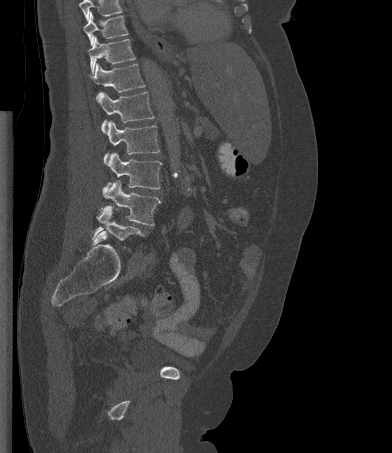 CT spine · sagittal view · Bone window (WL 400, WW 1800) · 392x453 px
Boxes: x1:y1:x2:y2 in pixels.
Where the top of the scan cuts through a vertebra, that vertebra gets no label or box.
Vertebra bounding boxes:
- L5: 92:206:143:240
- L4: 103:180:160:225
- L3: 103:152:161:190
- L2: 104:121:159:163
- L1: 96:91:154:133
- T12: 90:63:145:92
- T11: 88:36:135:73
- T10: 83:11:128:45